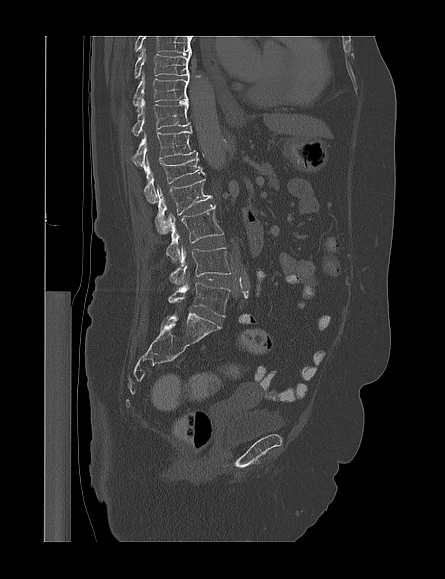
CT, spine. sagittal reformat. 445x579 px
Box edges are left/top/right/bottom in pixels. This scan's labels start at T9 at the top and end at L5 at the bottom. Vertebrae labeled: T9 at left=134, top=48, right=189, bottom=78, T10 at left=132, top=74, right=189, bottom=109, T11 at left=132, top=99, right=190, bottom=136, T12 at left=131, top=131, right=197, bottom=169, L1 at left=144, top=155, right=205, bottom=203, L2 at left=155, top=178, right=212, bottom=232, L3 at left=165, top=205, right=224, bottom=261, L4 at left=169, top=246, right=230, bottom=284, L5 at left=168, top=282, right=230, bottom=316.